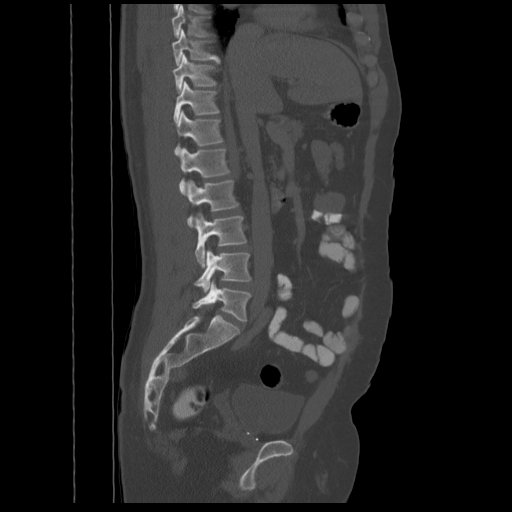

Spine CT · sagittal view · W/L 1800/400 HU

Box values are [left, top, right, bottom] in pixels.
{"vertebrae":{"T8":[172,6,210,37],"T9":[172,29,219,64],"T10":[173,54,216,91],"T11":[174,81,219,122],"T12":[175,110,223,153],"L1":[179,148,230,194],"L2":[187,180,238,227],"L3":[194,213,247,266],"L4":[194,249,251,292],"L5":[192,280,250,320]}}